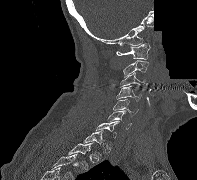 CT — sagittal reformat — 197x180 px — part of the image has been replaced by a constant value
A vertebra gets a box only on the slices from the first to the last where its cross-section is at least a third of its largest; on a slice outside that range it gets none.
<vertebrae><v name="C1" x1="116" y1="43" x2="150" y2="59"/><v name="C2" x1="123" y1="60" x2="148" y2="78"/><v name="C3" x1="120" y1="72" x2="148" y2="91"/><v name="C4" x1="116" y1="86" x2="141" y2="101"/><v name="C5" x1="113" y1="99" x2="138" y2="116"/><v name="C6" x1="107" y1="110" x2="131" y2="129"/><v name="C7" x1="96" y1="121" x2="119" y2="138"/><v name="T2" x1="68" y1="142" x2="93" y2="170"/></vertebrae>